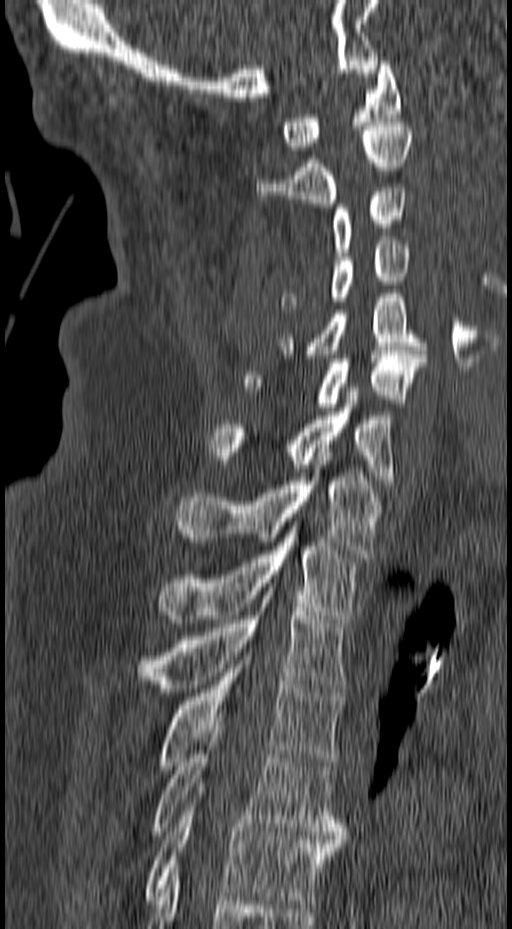

CT spine · sagittal view · 512x929 px · the image spans 157 mm across
Box values are [left, top, right, bottom] in pixels.
{"vertebrae":{"C1":[282,57,401,150],"C2":[256,122,413,207],"C3":[331,188,408,256],"C4":[280,241,410,309],"C5":[278,294,427,358],"C6":[244,351,426,411],"C7":[207,387,396,484],"T1":[174,461,384,557],"T2":[161,526,359,623],"T3":[136,583,347,692],"T4":[158,656,343,769],"T5":[150,726,346,839],"T6":[143,787,343,904]}}